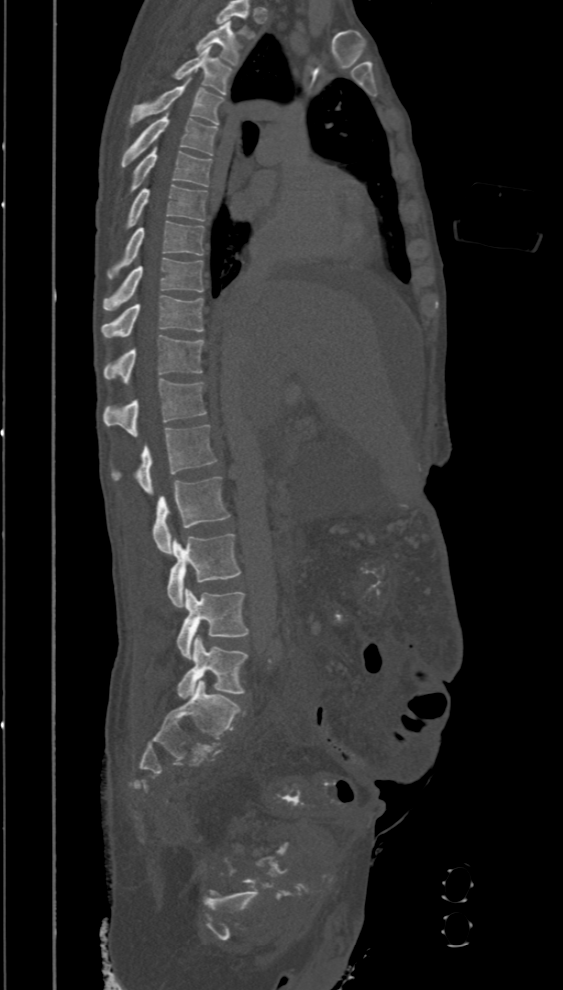 Computed tomography of the spine; sagittal view; bone-window reconstruction; 563x990 px. Boxes are given in columns x1, y1, x2, y2, the pixel coordinates of their top-left and bottom-right corners.
This scan's labels start at T2 at the top and end at L5 at the bottom.
| vertebra | x1 | y1 | x2 | y2 |
|---|---|---|---|---|
| L5 | 176 | 636 | 247 | 699 |
| L4 | 177 | 588 | 249 | 659 |
| L3 | 167 | 533 | 240 | 607 |
| L2 | 153 | 476 | 230 | 554 |
| L1 | 111 | 425 | 218 | 495 |
| T12 | 102 | 379 | 206 | 436 |
| T11 | 102 | 335 | 203 | 384 |
| T10 | 101 | 295 | 203 | 338 |
| T9 | 102 | 257 | 203 | 311 |
| T8 | 107 | 220 | 203 | 278 |
| T7 | 125 | 185 | 208 | 228 |
| T6 | 130 | 147 | 211 | 191 |
| T5 | 121 | 112 | 218 | 166 |
| T4 | 130 | 79 | 223 | 126 |
| T3 | 173 | 47 | 232 | 95 |
| T2 | 196 | 20 | 242 | 65 |